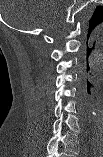 CT, spine — sagittal reformat — 103x157 px — 103 mm image width

This scan's labels start at C1 at the top and end at C7 at the bottom.
<vertebrae><v name="C1" x1="42" y1="22" x2="80" y2="42"/><v name="C2" x1="51" y1="39" x2="80" y2="60"/><v name="C3" x1="56" y1="57" x2="76" y2="73"/><v name="C4" x1="56" y1="72" x2="76" y2="87"/><v name="C5" x1="55" y1="85" x2="75" y2="101"/><v name="C6" x1="53" y1="98" x2="76" y2="118"/><v name="C7" x1="52" y1="112" x2="80" y2="133"/></vertebrae>